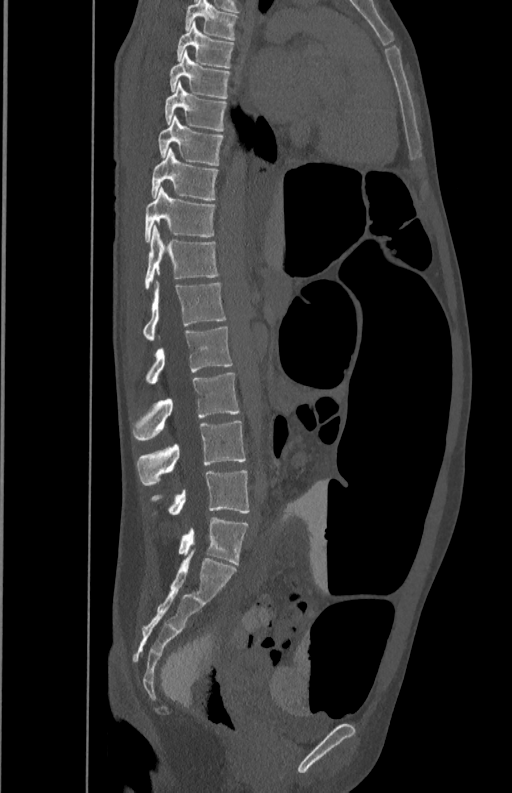
Spine computed tomography · sagittal reformat · bone-window reconstruction
<vertebrae><v name="T5" x1="186" y1="1" x2="237" y2="40"/><v name="T6" x1="177" y1="21" x2="233" y2="67"/><v name="T7" x1="169" y1="53" x2="230" y2="98"/><v name="T8" x1="165" y1="82" x2="226" y2="131"/><v name="T9" x1="158" y1="116" x2="223" y2="165"/><v name="T10" x1="152" y1="147" x2="218" y2="199"/><v name="T11" x1="145" y1="187" x2="215" y2="241"/><v name="T12" x1="145" y1="225" x2="218" y2="290"/><v name="L1" x1="143" y1="280" x2="226" y2="341"/><v name="L2" x1="146" y1="327" x2="233" y2="383"/><v name="L3" x1="133" y1="373" x2="240" y2="440"/><v name="L4" x1="136" y1="421" x2="246" y2="486"/><v name="L5" x1="150" y1="469" x2="249" y2="515"/></vertebrae>